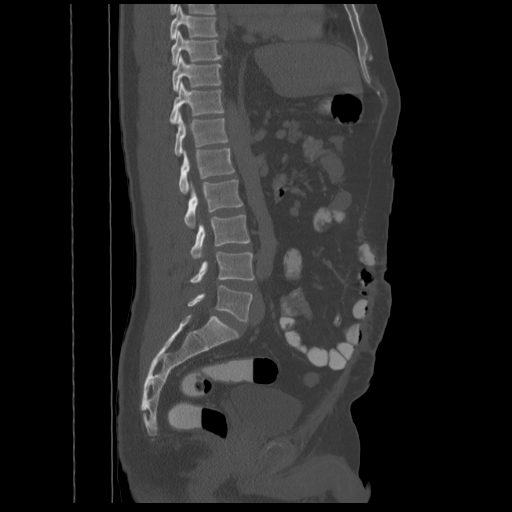

Spine computed tomography; 548 mm across the image; sagittal reformat. In the table, x1 and y1 are a box's top-left corner and x2 and y2 its bottom-right corner, in pixels.
| vertebra | x1 | y1 | x2 | y2 |
|---|---|---|---|---|
| T8 | 170 | 6 | 218 | 39 |
| T9 | 171 | 31 | 221 | 64 |
| T10 | 172 | 55 | 220 | 91 |
| T11 | 170 | 81 | 223 | 123 |
| T12 | 174 | 112 | 228 | 154 |
| L1 | 178 | 148 | 234 | 192 |
| L2 | 184 | 179 | 243 | 227 |
| L3 | 191 | 214 | 249 | 259 |
| L4 | 190 | 251 | 254 | 282 |
| L5 | 188 | 285 | 252 | 321 |